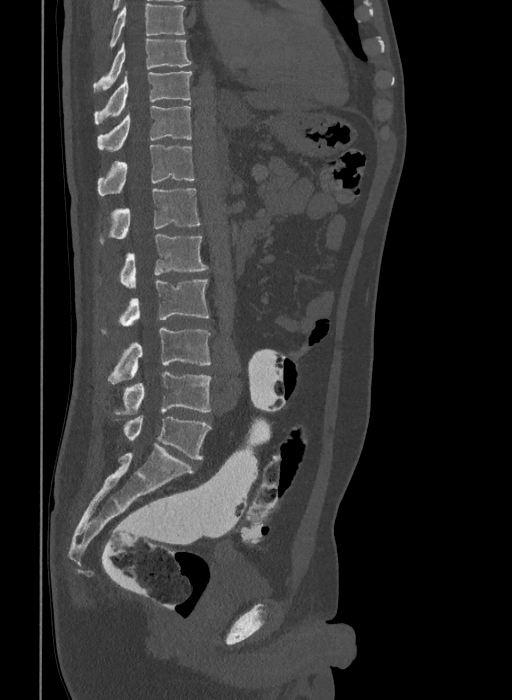
Computed tomography of the spine — sagittal view — 512x700 px. Each row gives a vertebra's box as x1, y1, x2, y2 in pixels: top-left corner, then bottom-right corner.
The highest labeled vertebra in this scan is T9; the lowest is L6.
In these labels the spine has an L6, a sixth lumbar vertebra below L5.
| vertebra | x1 | y1 | x2 | y2 |
|---|---|---|---|---|
| L6 | 123 | 416 | 212 | 459 |
| L5 | 114 | 372 | 212 | 415 |
| L4 | 108 | 328 | 210 | 383 |
| L3 | 101 | 279 | 209 | 334 |
| L2 | 100 | 234 | 208 | 287 |
| L1 | 100 | 188 | 200 | 246 |
| T12 | 98 | 145 | 194 | 195 |
| T11 | 98 | 105 | 192 | 150 |
| T10 | 94 | 71 | 192 | 124 |
| T9 | 93 | 38 | 190 | 93 |